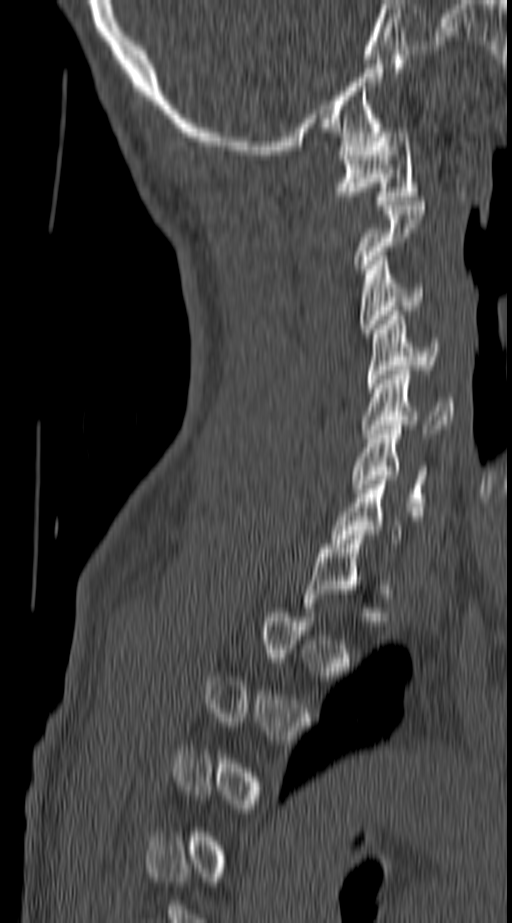

CT, spine; sagittal view; 512x923 px

Boxes: x1:y1:x2:y2 in pixels.
A vertebra gets a box only on the slices from the first to the last where its cross-section is at least a third of its largest; on a slice outside that range it gets none.
C1: 334:128:417:205
C3: 360:256:424:333
C4: 367:311:439:388
C5: 361:370:453:438
C6: 350:425:427:511